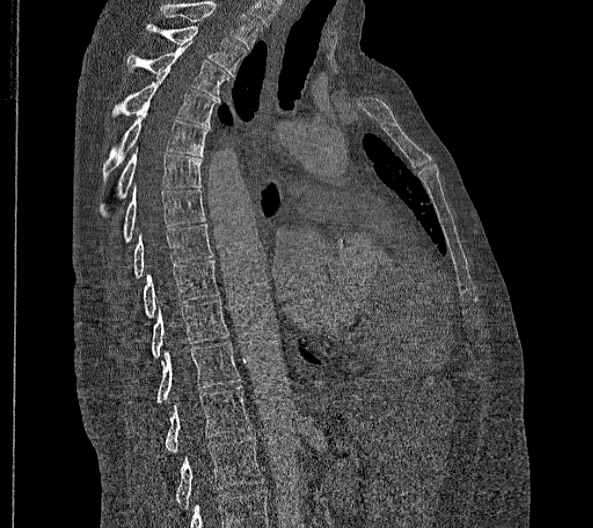

Spine CT — sagittal view — bone-window reconstruction. Boxes are given in columns x1, y1, x2, y2, the pixel coordinates of their top-left and bottom-right corners.
The highest labeled vertebra in this scan is T2; the lowest is L2.
These labels give this spine no T12: after T11 the next vertebra is L1.
| vertebra | x1 | y1 | x2 | y2 |
|---|---|---|---|---|
| L2 | 175 | 437 | 263 | 509 |
| L1 | 165 | 385 | 252 | 452 |
| T11 | 156 | 341 | 240 | 402 |
| T10 | 152 | 300 | 228 | 357 |
| T9 | 143 | 260 | 219 | 317 |
| T8 | 133 | 223 | 213 | 279 |
| T7 | 123 | 188 | 205 | 242 |
| T6 | 100 | 148 | 202 | 216 |
| T5 | 102 | 105 | 209 | 181 |
| T4 | 111 | 73 | 217 | 126 |
| T3 | 126 | 43 | 228 | 99 |
| T2 | 145 | 25 | 246 | 75 |